Spine CT; Sagittal slice 351/512; bone window; 10 vertebrae labeled in this scan
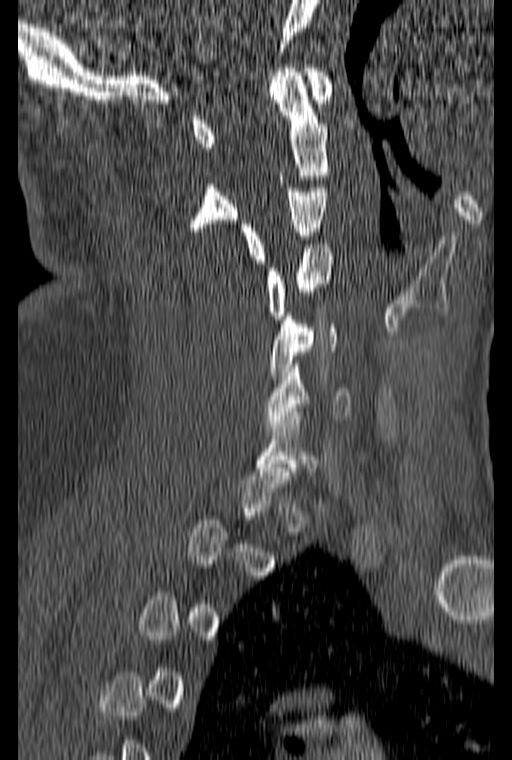

Each vertebra is boxed only on the slices from the first to the last where its cross-section reaches a third of its largest, so a slice outside that range leaves it unboxed.
<vertebrae><v name="C1" x1="192" y1="64" x2="332" y2="147"/><v name="C2" x1="188" y1="68" x2="327" y2="231"/><v name="C3" x1="240" y1="184" x2="327" y2="263"/><v name="C4" x1="267" y1="244" x2="333" y2="319"/><v name="C5" x1="270" y1="312" x2="336" y2="379"/><v name="C6" x1="264" y1="360" x2="350" y2="427"/></vertebrae>